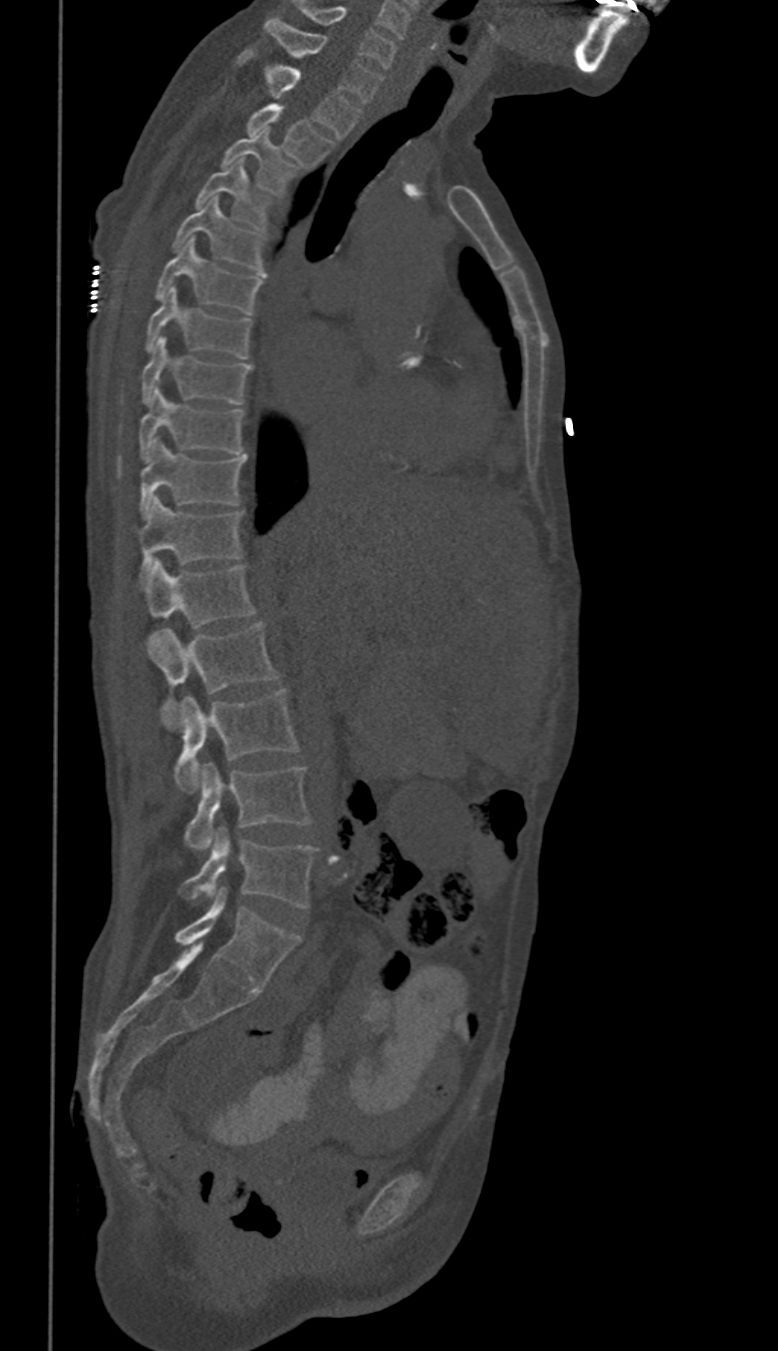

Spine CT · the image spans 350 mm across · sagittal view · 778x1351 px
Bounding boxes as [x1, y1, x2, y2] in pixel coordinates.
These labels give this spine no T12: after T11 the next vertebra is L1.
Vertebra bounding boxes:
- C6: [293, 2, 394, 68]
- C7: [264, 18, 380, 102]
- T1: [240, 49, 361, 137]
- T2: [246, 105, 332, 166]
- T3: [222, 129, 292, 193]
- T4: [194, 160, 265, 226]
- T5: [173, 196, 263, 273]
- T6: [155, 238, 263, 315]
- T7: [146, 287, 250, 357]
- T8: [141, 336, 250, 404]
- T9: [140, 387, 244, 462]
- T10: [140, 438, 245, 515]
- T11: [137, 498, 241, 577]
- L1: [137, 560, 254, 626]
- L2: [150, 623, 277, 728]
- L3: [175, 689, 297, 793]
- L4: [184, 763, 310, 851]
- L5: [182, 827, 316, 908]